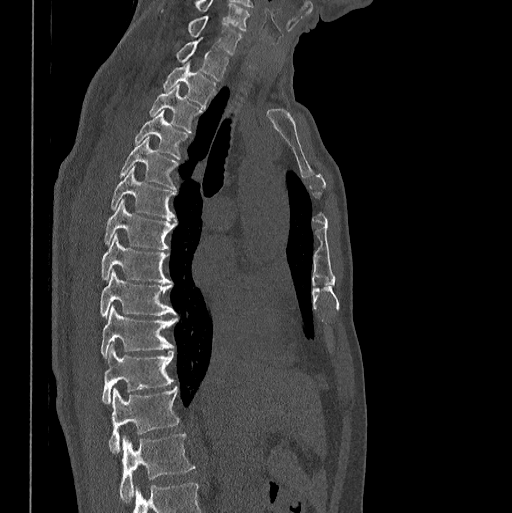

CT spine — sagittal view — Bone window (WL 400, WW 1800) — 512x513 px
The highest labeled vertebra in this scan is C7; the lowest is L1.
<vertebrae><v name="C7" x1="188" y1="15" x2="242" y2="53"/><v name="T1" x1="176" y1="39" x2="228" y2="81"/><v name="T2" x1="163" y1="63" x2="215" y2="108"/><v name="T3" x1="149" y1="85" x2="202" y2="132"/><v name="T4" x1="135" y1="110" x2="187" y2="158"/><v name="T5" x1="119" y1="138" x2="178" y2="189"/><v name="T6" x1="110" y1="167" x2="175" y2="220"/><v name="T7" x1="104" y1="199" x2="175" y2="249"/><v name="T8" x1="101" y1="234" x2="171" y2="283"/><v name="T9" x1="100" y1="270" x2="178" y2="319"/><v name="T10" x1="100" y1="306" x2="176" y2="358"/><v name="T11" x1="101" y1="344" x2="173" y2="404"/><v name="T12" x1="108" y1="386" x2="179" y2="453"/><v name="L1" x1="119" y1="433" x2="194" y2="501"/></vertebrae>